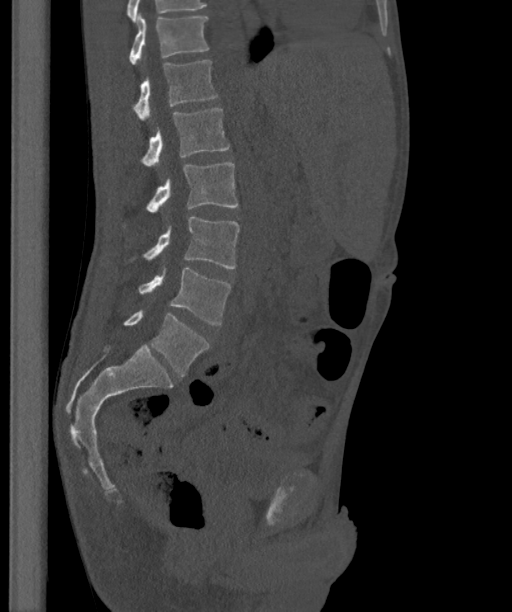 Spine CT. sagittal reformat. 363 mm across the image
Boxes: x1 y1 x2 y2 (pixel coords, space-separated).
The labels name a sixth lumbar vertebra for this spine: L6, after L5.
L6: 124 310 209 377
L5: 138 268 232 324
L4: 142 217 239 268
L3: 145 162 237 212
L2: 141 108 229 167
L1: 132 61 217 120
T12: 128 13 209 64